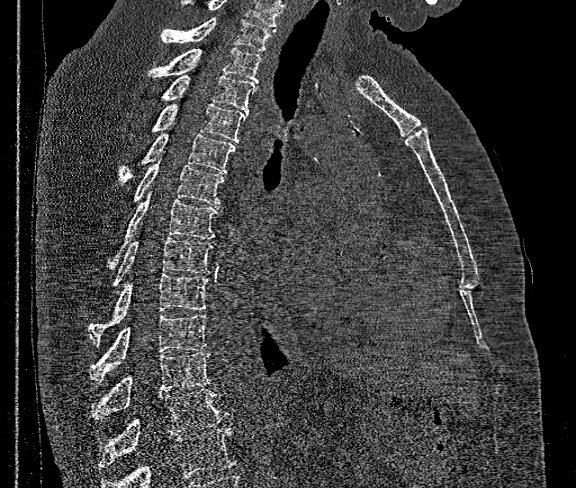
CT, spine. sagittal view. 576x488 px
Bounding boxes as [x1, y1, x2, y2] in pixel coordinates.
A vertebra cut off by the bottom edge of the scan is not labeled and has no box.
In this scan, the topmost labeled vertebra is T1 and the lowest is T12.
T1: [161, 18, 272, 51]
T2: [147, 47, 261, 83]
T3: [160, 76, 257, 111]
T4: [150, 104, 249, 142]
T5: [118, 133, 235, 185]
T6: [133, 160, 224, 204]
T7: [107, 192, 216, 268]
T8: [114, 237, 212, 286]
T9: [89, 274, 208, 343]
T10: [89, 314, 207, 382]
T11: [91, 352, 212, 420]
T12: [99, 389, 227, 467]